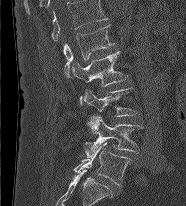

CT, spine · sagittal reformat · 186x206 px
Boxes are (x1, y1, x2, y2) in pixels.
This scan's labels start at L1 at the top and end at L5 at the bottom.
Vertebra bounding boxes:
- L1: (63, 25, 114, 77)
- L2: (70, 51, 128, 103)
- L3: (84, 87, 138, 131)
- L4: (85, 116, 143, 157)
- L5: (74, 141, 130, 186)